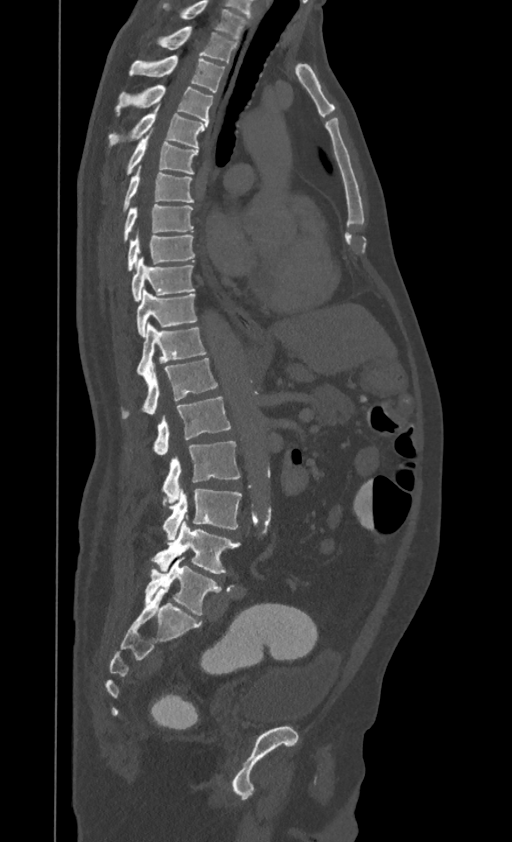
Spine computed tomography; sagittal reformat; Bone window (WL 400, WW 1800)
Each vertebra maps to its box as [x1, y1, x2, y2], the pixel coordinates of its top-left and bottom-right corners.
This scan's labels start at T1 at the top and end at L4 at the bottom.
{"vertebrae":{"L4":[154,521,240,573],"L3":[162,489,241,539],"L2":[162,441,240,502],"L1":[152,397,231,454],"T12":[122,358,217,419],"T11":[136,323,206,376],"T10":[137,289,197,336],"T9":[131,258,195,301],"T8":[127,234,195,271],"T7":[123,204,193,243],"T6":[122,167,193,212],"T5":[126,136,198,176],"T4":[109,105,208,148],"T3":[115,84,213,124],"T2":[129,56,224,92],"T1":[161,26,237,62]}}